CT, spine; sagittal plane, index 256; Bone window (WL 400, WW 1800); 512x594 px; scan covers 9 annotated vertebrae
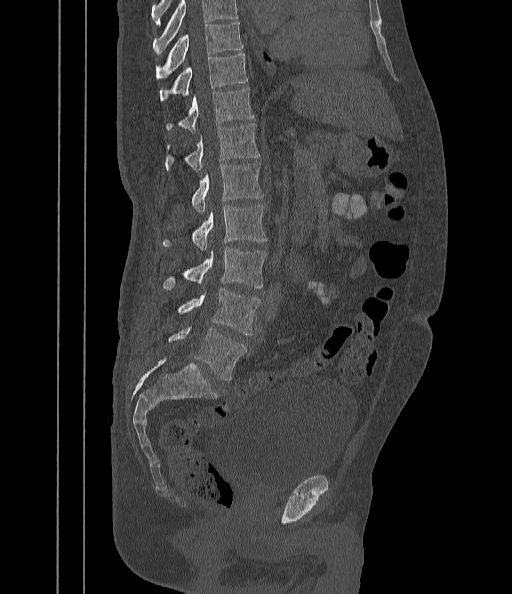

In the table, x1 and y1 are a box's top-left corner and x2 and y2 its bottom-right corner, in pixels.
No box is given to a vertebra that the top edge of the scan cuts off.
| vertebra | x1 | y1 | x2 | y2 |
|---|---|---|---|---|
| T9 | 156 | 23 | 242 | 77 |
| T10 | 160 | 54 | 247 | 102 |
| T11 | 166 | 87 | 254 | 131 |
| T12 | 164 | 123 | 260 | 171 |
| L1 | 191 | 162 | 263 | 213 |
| L2 | 162 | 205 | 268 | 251 |
| L3 | 163 | 247 | 267 | 289 |
| L4 | 177 | 288 | 261 | 334 |
| L5 | 168 | 327 | 246 | 380 |